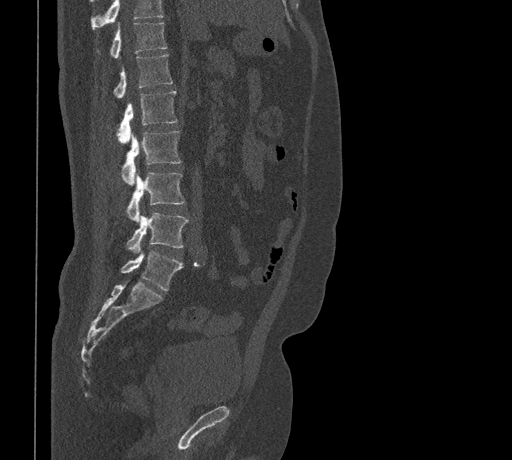
CT spine. sagittal view. bone window. Coordinates as <box>x1,y1,x2,y2</box>.
A vertebra cut off by the top edge of the scan is not labeled and has no box.
Vertebra bounding boxes:
- T11: <box>96,22,166,57</box>
- T12: <box>113,55,172,98</box>
- L1: <box>117,90,177,143</box>
- L2: <box>121,131,181,185</box>
- L3: <box>127,172,184,221</box>
- L4: <box>127,212,189,252</box>
- L5: <box>121,251,182,290</box>